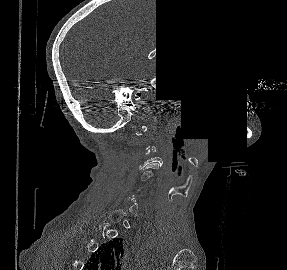 CT, spine — sagittal view — some of the image was removed or blocked out with constant pixels. Box edges are left/top/right/bottom in pixels.
A vertebra gets a box only on the slices from the first to the last where its cross-section is at least a third of its largest; on a slice outside that range it gets none.
| vertebra | x1 | y1 | x2 | y2 |
|---|---|---|---|---|
| C4 | 141 | 163 | 158 | 180 |
| C3 | 139 | 149 | 162 | 169 |